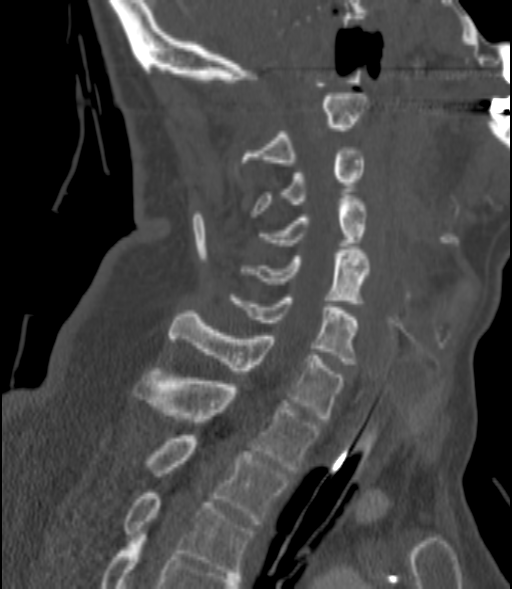
CT, spine; the image spans 200 mm across; sagittal view
Box values are [left, top, right, bottom] in pixels.
{"vertebrae":{"C2":[241,96,368,165],"C3":[251,147,363,217],"C4":[259,198,366,245],"C5":[241,250,368,303],"C6":[231,298,358,364],"C7":[170,310,343,421],"T1":[134,371,317,473],"T2":[144,435,289,524],"T3":[124,493,253,575]}}